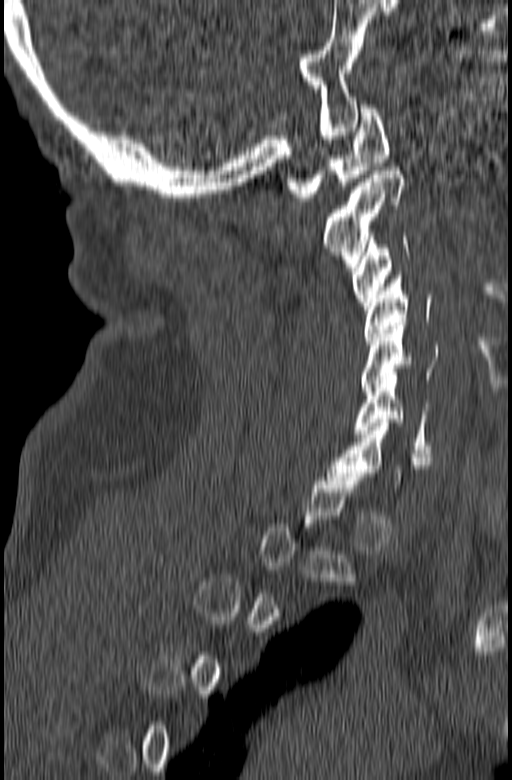
CT, spine; 165 mm across the image; sagittal view
Box edges are left/top/right/bottom in pixels.
Each vertebra is boxed only on the slices from the first to the last where its cross-section reaches a third of its largest, so a slice outside that range leaves it unboxed.
Vertebra bounding boxes:
- C1: left=287, top=105, right=391, bottom=201
- C2: left=321, top=167, right=404, bottom=271
- C3: left=352, top=233, right=409, bottom=313
- C4: left=364, top=272, right=431, bottom=344
- C5: left=361, top=322, right=438, bottom=391
- C6: left=355, top=376, right=433, bottom=453